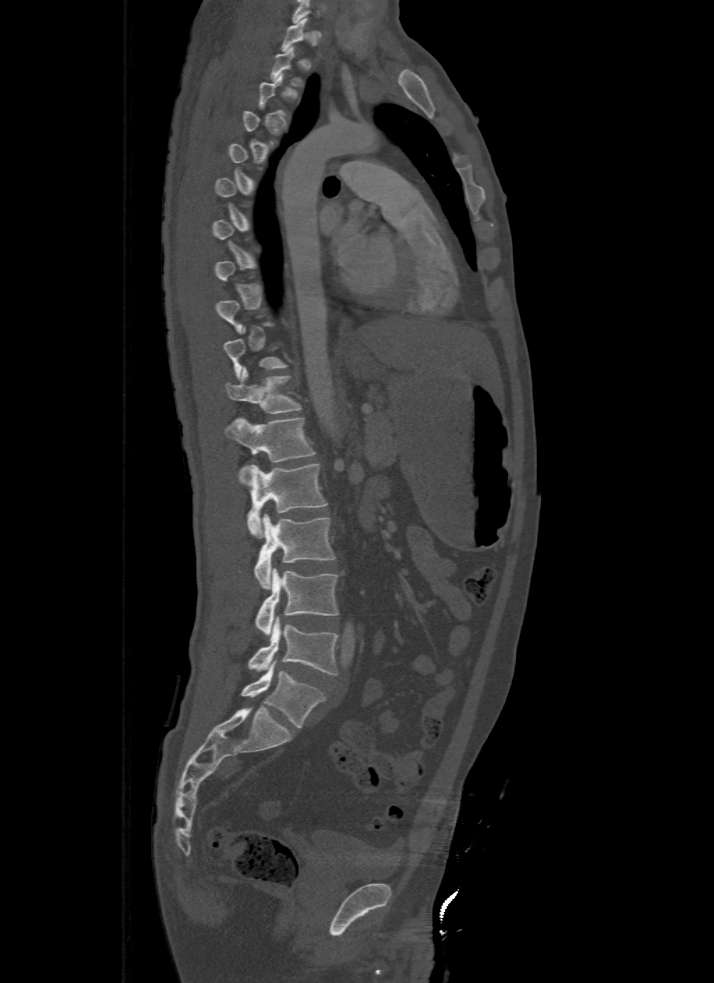
CT; sagittal view
Each box given as x1,y1,x2,y2.
A vertebra is boxed only from the first to the last slice where its cross-section is at least a third of its largest; slices outside that range leave it without a box.
| vertebra | x1 | y1 | x2 | y2 |
|---|---|---|---|---|
| T11 | 225 | 368 | 302 | 414 |
| T12 | 225 | 416 | 316 | 481 |
| L1 | 247 | 463 | 328 | 537 |
| L2 | 254 | 513 | 335 | 588 |
| L3 | 254 | 568 | 338 | 635 |
| L4 | 247 | 618 | 339 | 675 |
| L5 | 241 | 662 | 324 | 728 |